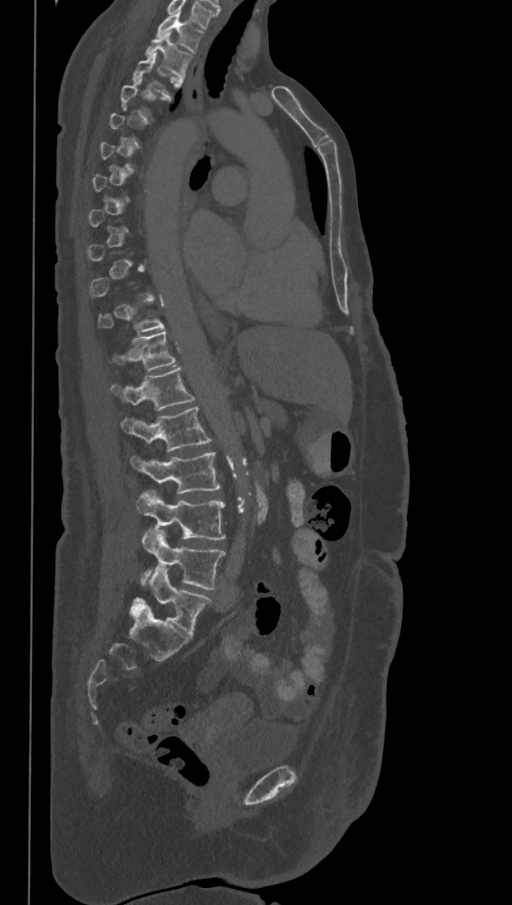 CT, spine. sagittal view
Boxes: x1:y1:x2:y2 in pixels.
A vertebra is boxed only from the first to the last slice where its cross-section is at least a third of its largest; slices outside that range leave it without a box.
The labels name a sixth lumbar vertebra for this spine: L6, after L5.
Vertebra bounding boxes:
- T1: 156:11:203:52
- T2: 146:31:191:77
- T12: 112:331:175:370
- L1: 110:367:195:411
- L2: 121:407:212:451
- L3: 131:452:221:492
- L4: 136:491:226:540
- L5: 140:528:226:589
- L6: 134:566:212:636